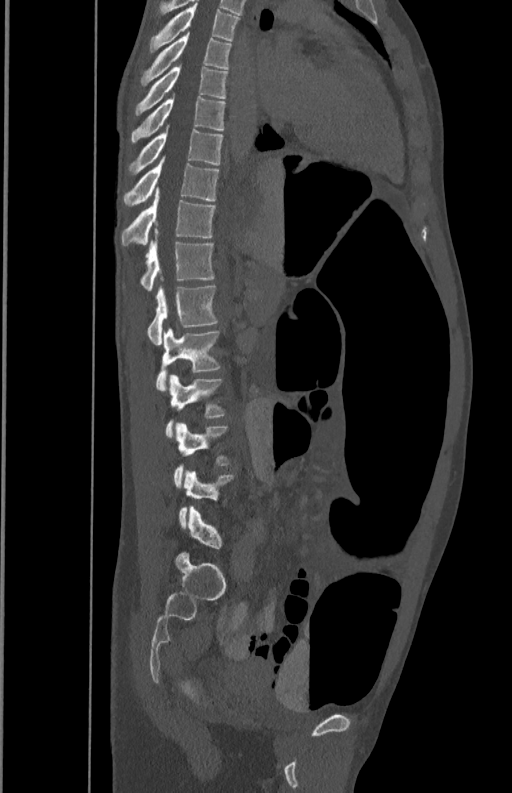

Computed tomography of the spine. sagittal view. 350 mm image width. bone window. 512x793 px. Coordinates as <box>x1,y1,x2,y2</box>.
L5: <box>178,471,234,527</box>
L4: <box>174,423,230,486</box>
L3: <box>165,374,226,437</box>
L2: <box>156,329,221,391</box>
L1: <box>148,278,218,344</box>
T12: <box>140,230,214,291</box>
T11: <box>121,188,215,247</box>
T10: <box>123,157,220,207</box>
T9: <box>128,125,223,174</box>
T8: <box>130,96,226,143</box>
T7: <box>134,66,227,116</box>
T6: <box>140,32,231,85</box>
T5: <box>149,3,240,53</box>